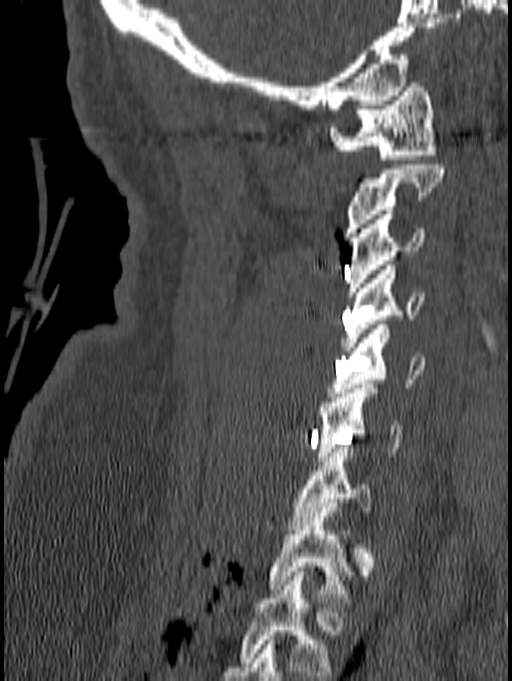

Computed tomography of the spine — sagittal view — 512x681 px
Boxes: x1:y1:x2:y2 in pixels.
In this scan, the topmost labeled vertebra is C1 and the lowest is T1.
Vertebra bounding boxes:
- C1: 329:82:436:159
- C2: 343:165:446:237
- C3: 347:210:425:296
- C4: 341:265:423:351
- C5: 329:325:425:397
- C6: 316:384:403:461
- C7: 284:443:373:534
- T1: 268:507:355:602